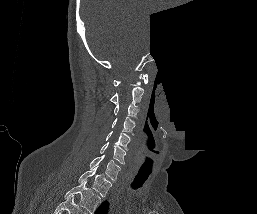
Computed tomography of the spine · 257 mm image width · sagittal view · bone-window reconstruction · part of the image has been replaced by a constant value

Boxes: x1 y1 x2 y2 (pixel coords, space-separated).
This scan's labels start at C1 at the top and end at T1 at the bottom.
Vertebra bounding boxes:
- C1: 113 73 148 86
- C2: 110 87 143 103
- C3: 114 103 139 117
- C4: 111 118 135 136
- C5: 106 131 130 150
- C6: 100 142 125 164
- C7: 90 155 120 182
- T1: 78 166 112 196